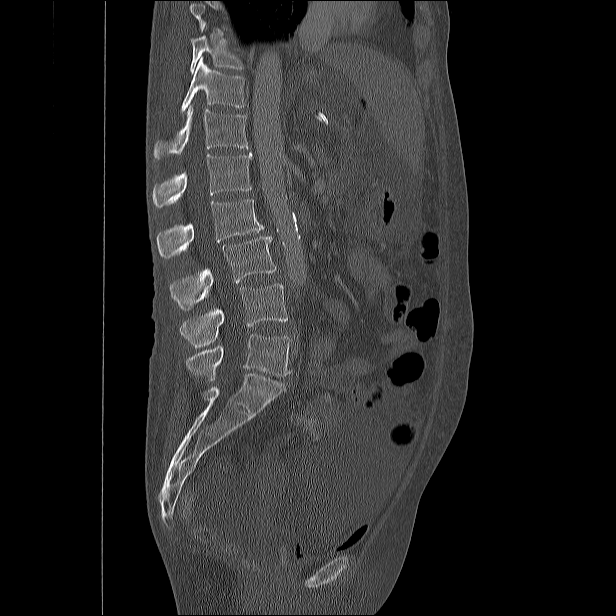
CT · image 482 mm wide · sagittal view
Boxes: x1 y1 x2 y2 (pixel coords, space-separated).
Vertebrae that run past the top of the scan are left unlabeled.
Vertebra bounding boxes:
- T10: 190 36 243 73
- T11: 180 57 246 114
- T12: 153 105 248 160
- L1: 152 152 252 207
- L2: 157 199 263 258
- L3: 170 236 276 308
- L4: 180 284 288 348
- L5: 185 334 290 381